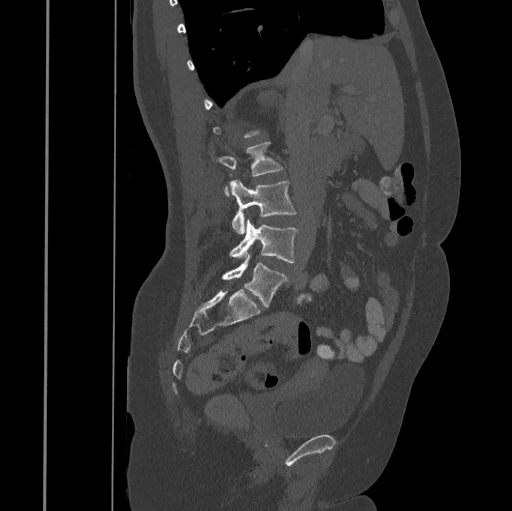
Computed tomography of the spine. sagittal view. W/L 1800/400 HU
Boxes: x1 y1 x2 y2 (pixel coords, space-separated). A vertebra is boxed only from the first to the last slice where its cross-section is at least a third of its largest; slices outside that range leave it without a box. The labeled vertebrae in this slice are: L5 at 222 253 288 306, L4 at 230 218 298 262, L3 at 229 179 296 233, L2 at 219 142 283 196.